Spine CT — sagittal view — Bone window (WL 400, WW 1800)
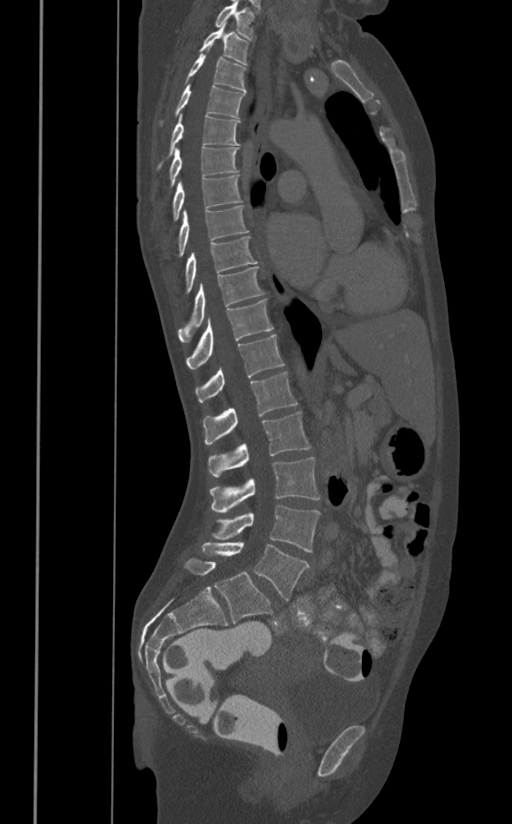 Box edges are left/top/right/bottom in pixels.
Vertebra bounding boxes:
- T1: left=215, top=0, right=254, bottom=40
- T2: left=199, top=22, right=249, bottom=65
- T3: left=183, top=54, right=246, bottom=92
- T4: left=160, top=84, right=245, bottom=125
- T5: left=157, top=113, right=239, bottom=170
- T6: left=169, top=147, right=238, bottom=186
- T7: left=173, top=174, right=242, bottom=221
- T8: left=177, top=206, right=249, bottom=257
- T9: left=183, top=236, right=257, bottom=294
- T10: left=177, top=266, right=265, bottom=342
- T11: left=186, top=298, right=273, bottom=368
- T12: left=195, top=334, right=284, bottom=402
- L1: left=203, top=372, right=297, bottom=443
- L2: left=208, top=411, right=310, bottom=477
- L3: left=209, top=457, right=320, bottom=513
- L4: left=211, top=506, right=320, bottom=552
- L5: left=201, top=542, right=309, bottom=600